CT spine · sagittal reformat · image width 283 mm · 283x239 px · 9 vertebrae labeled in this scan · a region of this slice is masked with a uniform fill
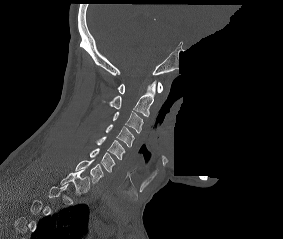

Boxes: x1 y1 x2 y2 (pixel coords, space-separated). Not every vertebra on this slice has a box: a vertebra is boxed only from the first to the last slice where its cross-section is at least a third of its largest, and this slice is outside that range for at least one of them. 8 vertebrae labeled — C1 at 117 82 162 94; C2 at 109 80 155 117; C3 at 112 111 143 133; C4 at 105 124 134 147; C5 at 95 136 125 159; C6 at 90 148 115 172; C7 at 75 159 103 183; T1 at 60 169 89 194.